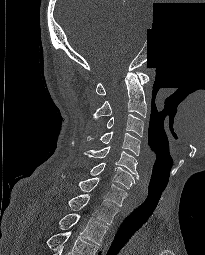

CT spine — sagittal view — 205x255 px — a region is blanked to uniform black, ending in a straight edge
<vertebrae><v name="T2" x1="59" y1="213" x2="108" y2="247"/><v name="T1" x1="68" y1="194" x2="119" y2="224"/><v name="C7" x1="79" y1="177" x2="127" y2="206"/><v name="C6" x1="90" y1="163" x2="135" y2="188"/><v name="C5" x1="83" y1="146" x2="139" y2="179"/><v name="C4" x1="87" y1="131" x2="140" y2="155"/><v name="C3" x1="107" y1="114" x2="143" y2="136"/><v name="C2" x1="93" y1="72" x2="146" y2="119"/><v name="C1" x1="96" y1="72" x2="149" y2="94"/></vertebrae>